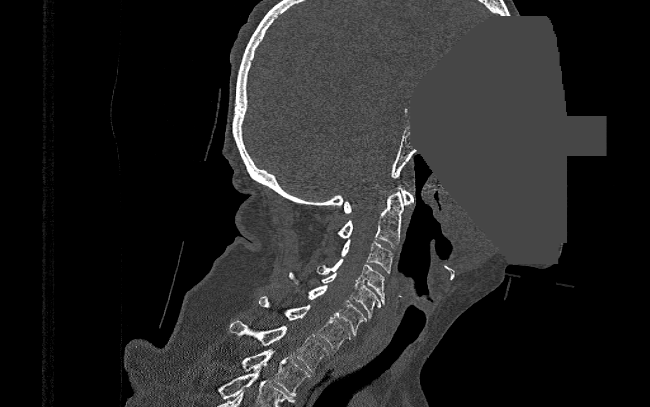
CT, spine; sagittal view; a region of this slice is masked with a uniform fill
Each box given as x1,y1,x2,y2.
Vertebra bounding boxes:
- C1: x1=343, y1=188, x2=414, y2=213
- C2: x1=336, y1=190, x2=404, y2=248
- C3: x1=340, y1=239, x2=393, y2=273
- C4: x1=316, y1=259, x2=385, y2=304
- C5: x1=320, y1=273, x2=381, y2=319
- C6: x1=289, y1=272, x2=366, y2=335
- C7: x1=258, y1=296, x2=351, y2=349
- T1: x1=229, y1=320, x2=328, y2=371
- T2: x1=241, y1=349, x2=309, y2=396